CT spine. 392 mm wide. sagittal plane, index 194. 392x453 px. scan covers 8 annotated vertebrae
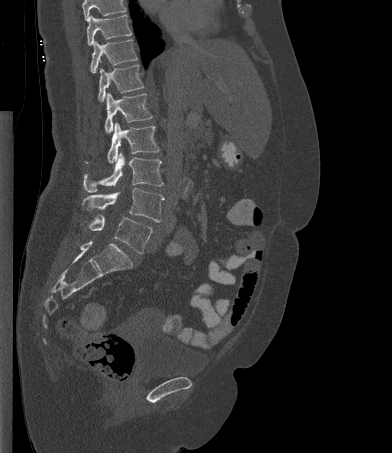

Where the top of the scan cuts through a vertebra, that vertebra gets no label or box.
<vertebrae><v name="T10" x1="87" y1="15" x2="131" y2="45"/><v name="T11" x1="90" y1="39" x2="137" y2="73"/><v name="T12" x1="98" y1="65" x2="144" y2="102"/><v name="L1" x1="105" y1="92" x2="152" y2="133"/><v name="L2" x1="86" y1="122" x2="159" y2="163"/><v name="L3" x1="83" y1="152" x2="163" y2="192"/><v name="L4" x1="82" y1="186" x2="164" y2="222"/><v name="L5" x1="88" y1="215" x2="152" y2="253"/></vertebrae>